CT spine — sagittal plane, index 336
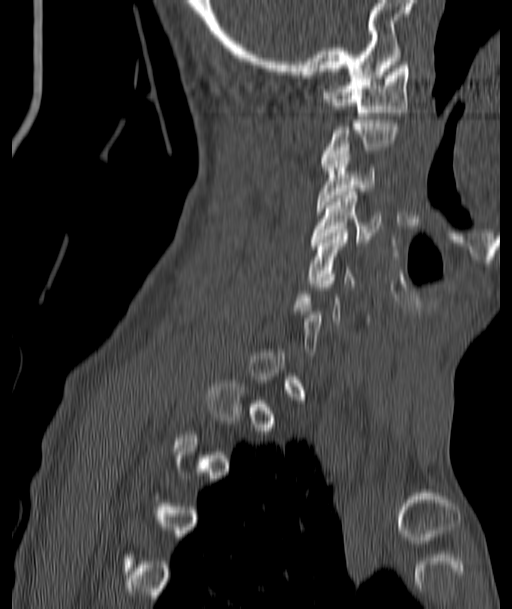

Boxes are (x1, y1, x2, y2) in pixels.
Not every vertebra on this slice has a box: a vertebra is boxed only from the first to the last slice where its cross-section is at least a third of its largest, and this slice is outside that range for at least one of them.
C1: (324, 62, 408, 115)
C3: (316, 147, 375, 211)
C4: (311, 192, 380, 245)
C5: (308, 229, 356, 286)